Computed tomography of the spine · sagittal plane, index 241 · image 368 mm wide · bone window · 512x905 px
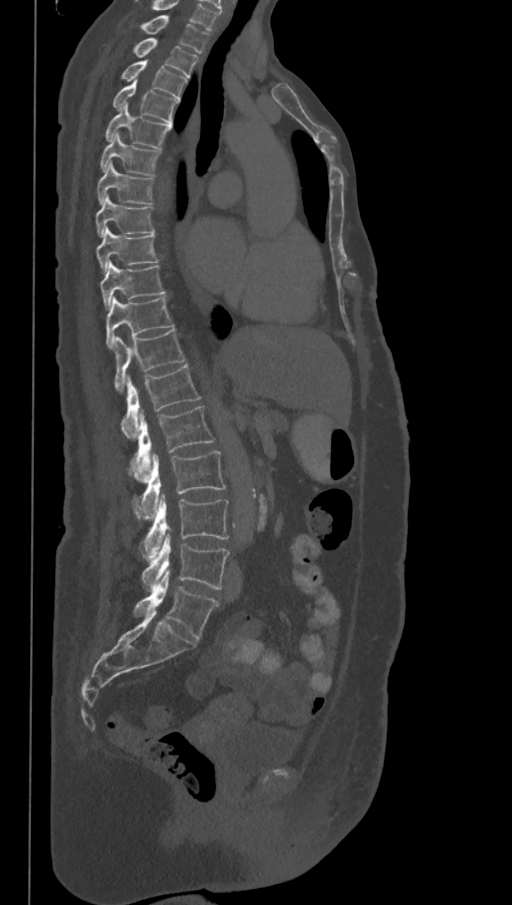

Columns x1, y1, x2, y2 give each box's top-left and bottom-right pixels.
This scan's labels start at T1 at the top and end at L6 at the bottom.
These labels give the spine a sixth lumbar vertebra, L6, below L5.
| vertebra | x1 | y1 | x2 | y2 |
|---|---|---|---|---|
| T1 | 139 | 15 | 209 | 53 |
| T2 | 132 | 38 | 198 | 78 |
| T3 | 121 | 60 | 188 | 99 |
| T4 | 112 | 80 | 178 | 124 |
| T5 | 104 | 104 | 171 | 149 |
| T6 | 100 | 133 | 160 | 176 |
| T7 | 97 | 162 | 153 | 204 |
| T8 | 96 | 194 | 155 | 237 |
| T9 | 96 | 227 | 157 | 273 |
| T10 | 100 | 262 | 166 | 310 |
| T11 | 106 | 298 | 174 | 350 |
| T12 | 114 | 329 | 185 | 391 |
| L1 | 121 | 364 | 201 | 439 |
| L2 | 129 | 406 | 214 | 482 |
| L3 | 133 | 451 | 226 | 519 |
| L4 | 140 | 493 | 228 | 561 |
| L5 | 142 | 533 | 228 | 590 |
| L6 | 133 | 570 | 219 | 640 |